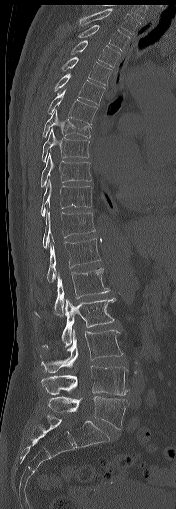 Computed tomography of the spine — sagittal view — W/L 1800/400 HU — the image spans 176 mm across. Bounding boxes as [x1, y1, x2, y2] in pixel coordinates.
T1: [79, 8, 140, 35]
T2: [78, 25, 129, 51]
T3: [71, 40, 120, 66]
T4: [62, 57, 112, 85]
T5: [54, 73, 104, 105]
T6: [48, 89, 97, 123]
T7: [42, 109, 91, 139]
T8: [42, 127, 89, 161]
T9: [41, 153, 91, 187]
T10: [41, 180, 91, 216]
T11: [42, 207, 95, 248]
T12: [47, 238, 100, 282]
L1: [35, 268, 110, 317]
L2: [42, 298, 115, 348]
L3: [40, 329, 122, 372]
L4: [41, 365, 129, 395]
L5: [47, 396, 128, 429]